Computed tomography of the spine; sagittal view; W/L 1800/400 HU
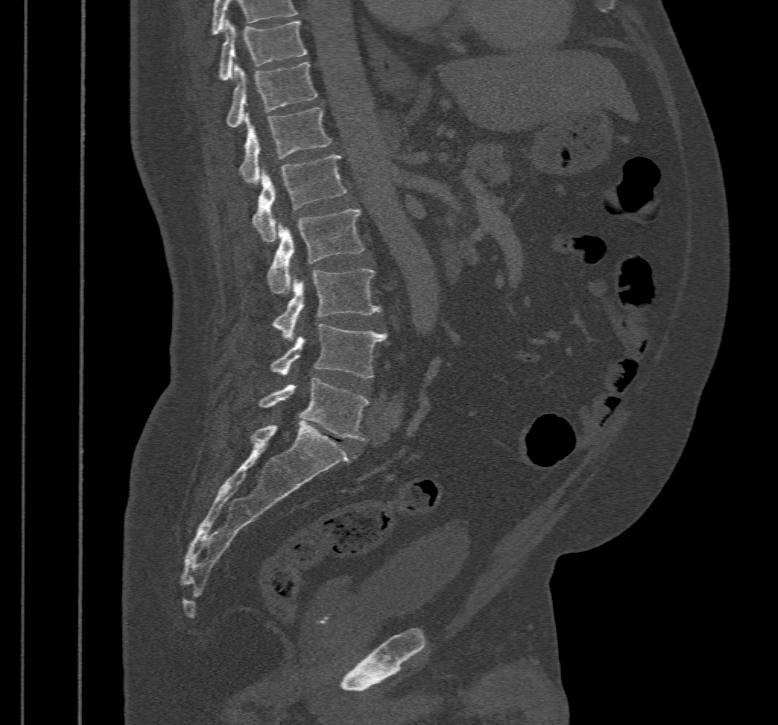
Box edges are left/top/right/bottom in pixels.
Labels in this scan begin with T10 at the top and end with L5 at the bottom.
T10: left=219, top=19, right=308, bottom=81
T11: left=227, top=62, right=317, bottom=128
T12: left=239, top=107, right=332, bottom=184
L1: left=252, top=155, right=347, bottom=241
L2: left=266, top=209, right=364, bottom=293
L3: left=274, top=268, right=381, bottom=341
L4: left=272, top=324, right=388, bottom=378
L5: left=258, top=377, right=368, bottom=441